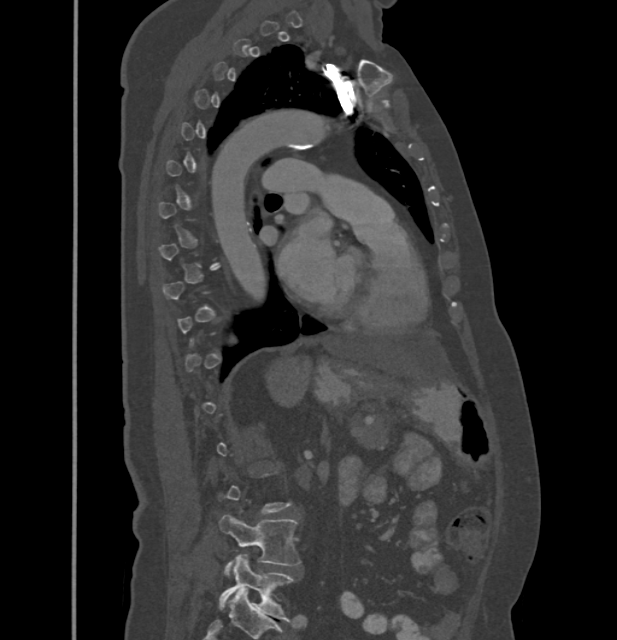
Computed tomography of the spine · sagittal view · bone-window reconstruction
Columns x1, y1, x2, y2 give each box's top-left and bottom-right pixels.
Each vertebra is boxed only on the slices from the first to the last where its cross-section reaches a third of its largest, so a slice outside that range leaves it unboxed.
| vertebra | x1 | y1 | x2 | y2 |
|---|---|---|---|---|
| L4 | 218 | 515 | 300 | 576 |
| L5 | 218 | 555 | 293 | 621 |